Computed tomography of the spine; Sagittal slice 21/61
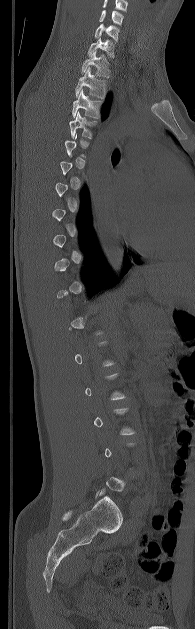
A vertebra is boxed only from the first to the last slice where its cross-section is at least a third of its largest; slices outside that range leave it without a box.
The highest labeled vertebra in this scan is C5; the lowest is L5.
<vertebrae><v name="C5" x1="99" y1="10" x2="123" y2="24"/><v name="C6" x1="95" y1="23" x2="119" y2="41"/><v name="C7" x1="88" y1="37" x2="114" y2="58"/><v name="T1" x1="81" y1="51" x2="109" y2="77"/><v name="T2" x1="75" y1="67" x2="105" y2="98"/><v name="T3" x1="72" y1="89" x2="101" y2="118"/><v name="T4" x1="69" y1="112" x2="95" y2="138"/></vertebrae>